CT, spine · sagittal reformat · bone window
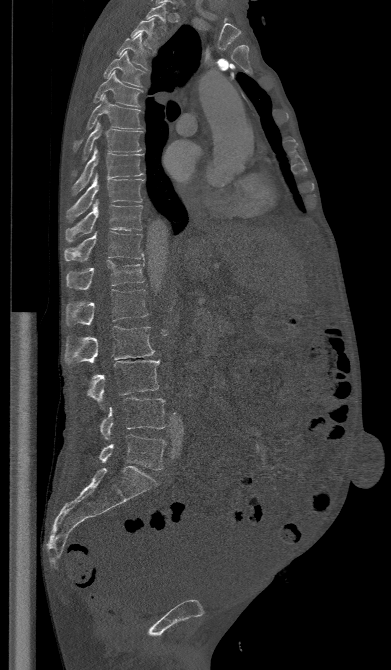

Boxes: x1 y1 x2 y2 (pixel coords, space-separated).
L5: 99 434 165 470
L4: 99 397 165 439
L3: 81 360 160 402
L2: 64 326 154 366
L1: 65 289 148 326
T12: 66 260 144 289
T11: 64 231 144 261
T10: 65 199 142 241
T9: 66 174 144 220
T8: 71 146 145 196
T7: 72 121 142 174
T6: 73 94 142 151
T5: 93 70 143 106
T4: 104 51 144 87
T3: 117 33 149 69
T2: 130 18 158 50
T1: 145 3 167 30